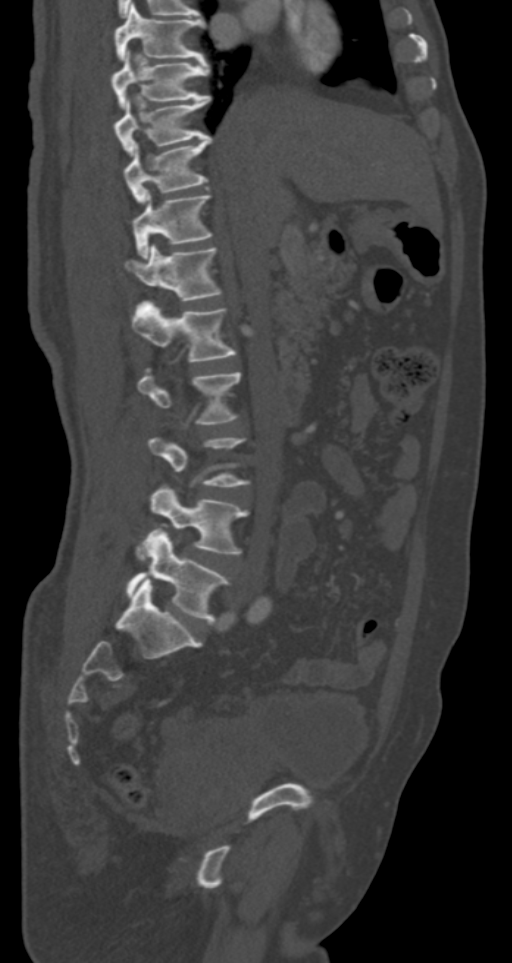
CT, spine · sagittal view

In the table, x1 and y1 are a box's top-left corner and x2 and y2 its bottom-right corner, in pixels.
| vertebra | x1 | y1 | x2 | y2 |
|---|---|---|---|---|
| T7 | 114 | 4 | 206 | 61 |
| T8 | 112 | 50 | 209 | 108 |
| T9 | 114 | 96 | 211 | 155 |
| T10 | 123 | 135 | 213 | 203 |
| T11 | 132 | 192 | 213 | 257 |
| T12 | 124 | 244 | 222 | 300 |
| L1 | 132 | 301 | 236 | 361 |
| L2 | 137 | 368 | 241 | 424 |
| L3 | 148 | 437 | 250 | 486 |
| L4 | 136 | 485 | 248 | 558 |
| L5 | 126 | 529 | 229 | 623 |